CT — Sagittal slice 57/145 — scan covers 8 annotated vertebrae
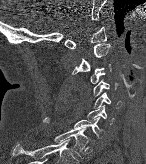 Box edges are left/top/right/bottom in pixels.
C1: left=64, top=26, right=106, bottom=48
C2: left=71, top=43, right=110, bottom=75
C3: left=88, top=64, right=111, bottom=83
C4: left=93, top=80, right=117, bottom=95
C5: left=94, top=93, right=121, bottom=108
C6: left=87, top=105, right=114, bottom=124
C7: left=43, top=117, right=103, bottom=137
T1: left=54, top=127, right=87, bottom=158